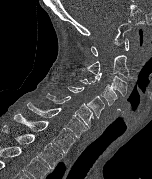
CT, spine. sagittal reformat. 152 mm across the image. In the table, x1 and y1 are a box's top-left corner and x2 and y2 its bottom-right corner, in pixels.
Labels in this scan begin with C1 at the top and end with T2 at the bottom.
| vertebra | x1 | y1 | x2 | y2 |
|---|---|---|---|---|
| C1 | 91 | 38 | 129 | 56 |
| C2 | 82 | 54 | 129 | 78 |
| C3 | 90 | 72 | 127 | 97 |
| C4 | 79 | 78 | 117 | 105 |
| C5 | 68 | 86 | 104 | 118 |
| C6 | 46 | 93 | 93 | 128 |
| C7 | 26 | 102 | 87 | 137 |
| T1 | 14 | 113 | 75 | 152 |
| T2 | 2 | 125 | 63 | 168 |